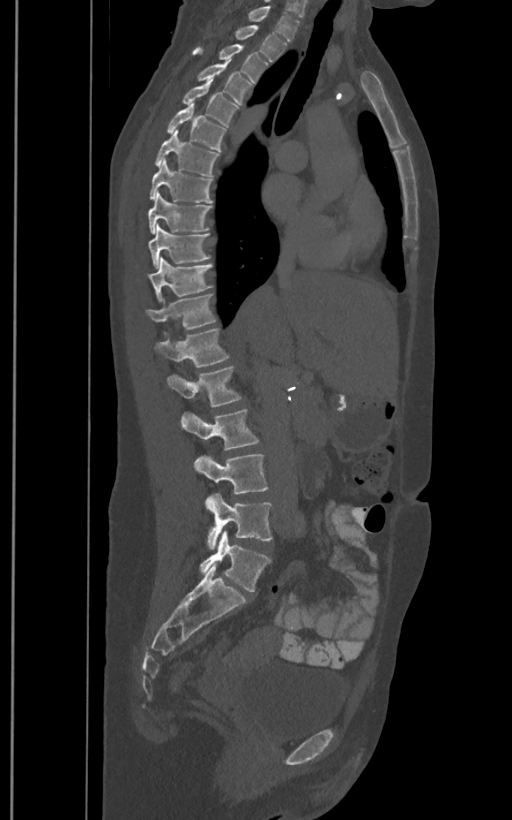 CT spine. sagittal view. Each box given as x1,y1,x2,y2.
These labels give the spine a sixth lumbar vertebra, L6, below L5.
Vertebra bounding boxes:
- T1: x1=248, y1=6, x2=300, y2=42
- T2: x1=235, y1=25, x2=286, y2=61
- T3: x1=192, y1=45, x2=268, y2=82
- T4: x1=197, y1=60, x2=252, y2=104
- T5: x1=182, y1=79, x2=238, y2=126
- T6: x1=166, y1=103, x2=225, y2=151
- T7: x1=155, y1=129, x2=219, y2=176
- T8: x1=150, y1=159, x2=213, y2=203
- T9: x1=147, y1=194, x2=211, y2=233
- T10: x1=148, y1=225, x2=210, y2=267
- T11: x1=147, y1=257, x2=213, y2=302
- T12: x1=146, y1=294, x2=215, y2=330
- L1: x1=153, y1=328, x2=228, y2=368
- L2: x1=166, y1=366, x2=241, y2=406
- L3: x1=180, y1=409, x2=259, y2=449
- L4: x1=193, y1=454, x2=268, y2=494
- L5: x1=206, y1=494, x2=273, y2=550
- L6: x1=198, y1=531, x2=270, y2=591